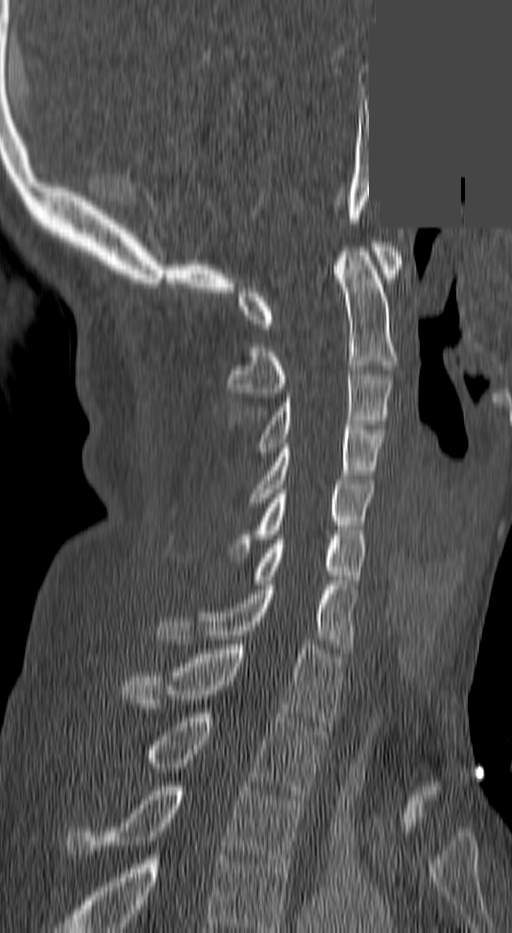
Computed tomography of the spine. sagittal reformat. an area of the scan was removed and filled with constant pixels

Labels in this scan begin with C1 at the top and end with T3 at the bottom.
<vertebrae><v name="C1" x1="239" y1="242" x2="399" y2="328"/><v name="C2" x1="228" y1="247" x2="395" y2="397"/><v name="C3" x1="257" y1="370" x2="392" y2="452"/><v name="C4" x1="250" y1="425" x2="384" y2="502"/><v name="C5" x1="232" y1="480" x2="373" y2="557"/><v name="C6" x1="254" y1="539" x2="366" y2="584"/><v name="C7" x1="159" y1="585" x2="356" y2="648"/><v name="T1" x1="122" y1="640" x2="340" y2="726"/><v name="T2" x1="140" y1="713" x2="323" y2="794"/><v name="T3" x1="67" y1="786" x2="304" y2="868"/></vertebrae>